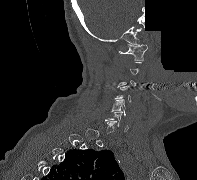

CT spine. sagittal view. Bone window (WL 400, WW 1800). 197x180 px. an area of the scan was removed and filled with constant pixels
Each box given as x1,y1,x2,y2.
A vertebra gets a box only on the slices from the first to the last where its cross-section is at least a third of its largest; on a slice outside that range it gets none.
C1: x1=119, y1=44, x2=147, y2=60
C5: x1=111, y1=99, x2=126, y2=116
C6: x1=105, y1=112, x2=128, y2=131